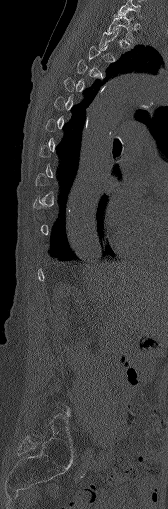
CT · sagittal view

Boxes below are [x1, y1, x2, y2] in pixels.
Each vertebra is boxed only on the slices from the first to the last where its cross-section reaches a third of its largest, so a slice outside that range leaves it unboxed.
{"vertebrae":{"C7":[117,0,141,19],"T1":[107,11,135,41]}}